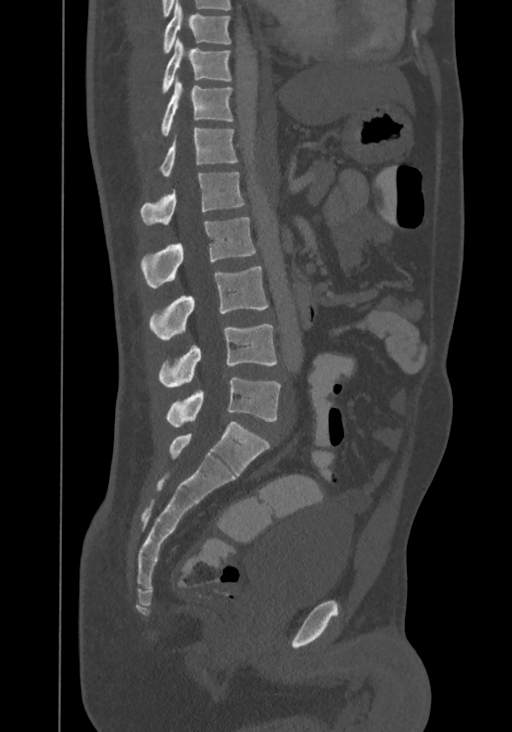
Spine computed tomography — sagittal view
Boxes below are [x1, y1, x2, y2] in pixels.
This scan's labels start at T8 at the top and end at L4 at the bottom.
{"vertebrae":{"L4":[166,377,281,427],"L3":[159,324,276,387],"L2":[149,266,268,339],"L1":[141,217,255,288],"T12":[141,171,244,225],"T11":[160,128,237,176],"T10":[160,77,233,137],"T9":[162,38,232,93],"T8":[163,0,230,53]}}